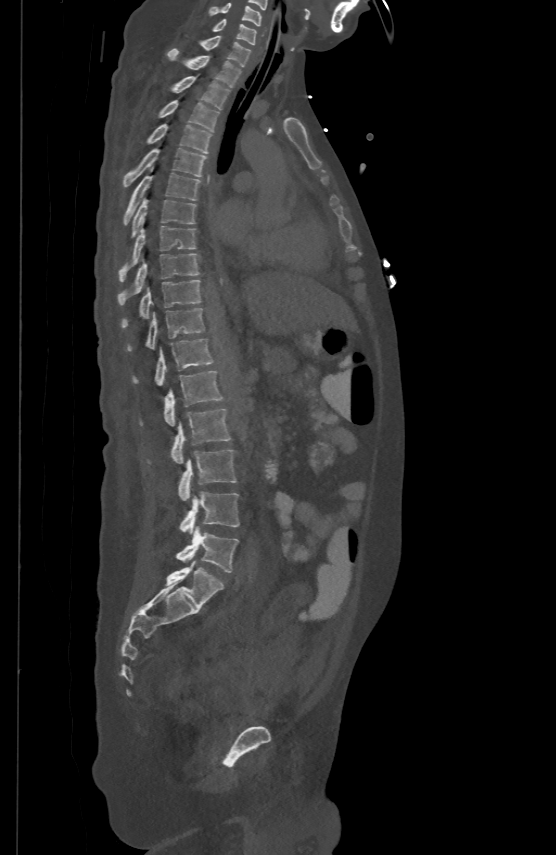

Spine computed tomography · sagittal reformat · bone window · 556x855 px · the image is 500 mm wide
Box values are [left, top, right, bottom] in pixels.
{"vertebrae":{"C5":[208,2,262,24],"C6":[214,17,256,43],"C7":[200,35,250,65],"T1":[168,47,240,86],"T2":[173,75,229,109],"T3":[158,99,219,131],"T4":[148,123,212,152],"T5":[124,147,205,186],"T6":[124,167,200,223],"T7":[131,197,195,236],"T8":[119,225,195,281],"T9":[118,252,199,304],"T10":[122,279,200,326],"T11":[127,307,204,350],"T12":[132,337,213,384],"L1":[139,370,223,424],"L2":[146,407,231,463],"L3":[178,450,236,500],"L4":[179,492,239,532],"L5":[176,527,239,572]}}